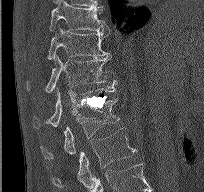
Spine computed tomography; sagittal reformat; Bone window (WL 400, WW 1800); 204x192 px; 204 mm wide
Bounding boxes as [x1, y1, x2, y2] in pixel coordinates.
T9: [49, 0, 109, 33]
T10: [47, 25, 109, 60]
T11: [27, 55, 117, 93]
T12: [33, 87, 116, 128]
L1: [40, 99, 119, 158]
L2: [51, 128, 136, 187]